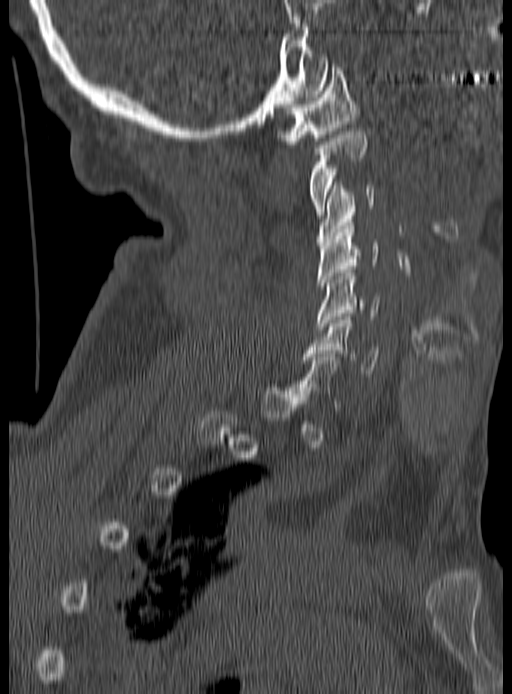 Computed tomography of the spine. sagittal view. W/L 1800/400 HU
Box values are [left, top, right, bottom] in pixels.
A vertebra is boxed only from the first to the last slice where its cross-section is at least a third of its largest; slices outside that range leave it without a box.
{"vertebrae":{"C1":[278,64,358,147],"C2":[308,131,366,215],"C3":[317,182,374,245],"C4":[317,222,377,289],"C5":[316,269,380,329],"C6":[303,317,379,376]}}